Computed tomography of the spine — Sagittal slice 219/512 — 512x732 px
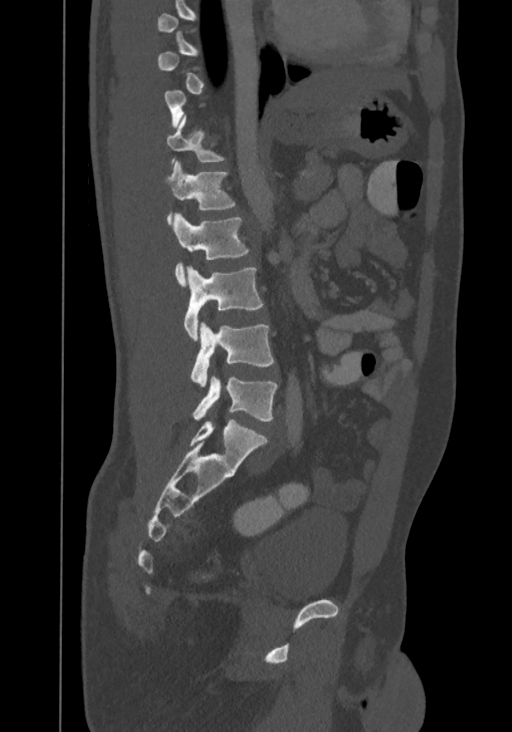

Each box given as x1,y1,x2,y2.
Not every vertebra on this slice has a box: a vertebra is boxed only from the first to the last slice where its cross-section is at least a third of its largest, and this slice is outside that range for at least one of them.
In this scan, the topmost labeled vertebra is T8 and the lowest is L4.
| vertebra | x1 | y1 | x2 | y2 |
|---|---|---|---|---|
| L4 | 192 | 377 | 278 | 421 |
| L3 | 191 | 321 | 274 | 387 |
| L2 | 184 | 266 | 262 | 341 |
| L1 | 173 | 213 | 249 | 287 |
| T12 | 166 | 161 | 235 | 224 |
| T11 | 166 | 116 | 225 | 163 |